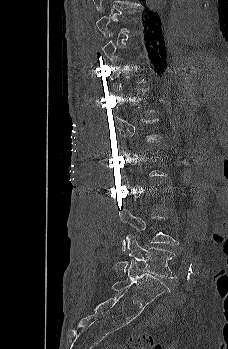

CT, spine; sagittal view
Boxes: x1:y1:x2:y2 in pixels.
A vertebra gets a box only on the slices from the first to the last where its cross-section is at least a third of its largest; on a slice outside that range it gets none.
L4: 119:208:178:250
L5: 114:235:176:278